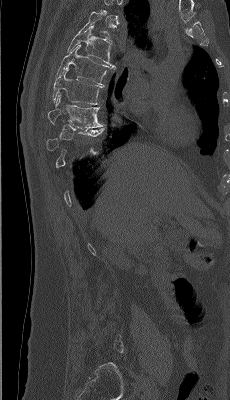
Spine computed tomography · sagittal view
Box edges are left/top/right/bottom in pixels.
A vertebra gets a box only on the slices from the first to the last where its cross-section is at least a third of its largest; on a slice outside that range it gets none.
| vertebra | x1 | y1 | x2 | y2 |
|---|---|---|---|---|
| T5 | 67 | 26 | 115 | 69 |
| T6 | 56 | 44 | 110 | 86 |
| T7 | 53 | 68 | 104 | 104 |
| T8 | 47 | 94 | 103 | 128 |